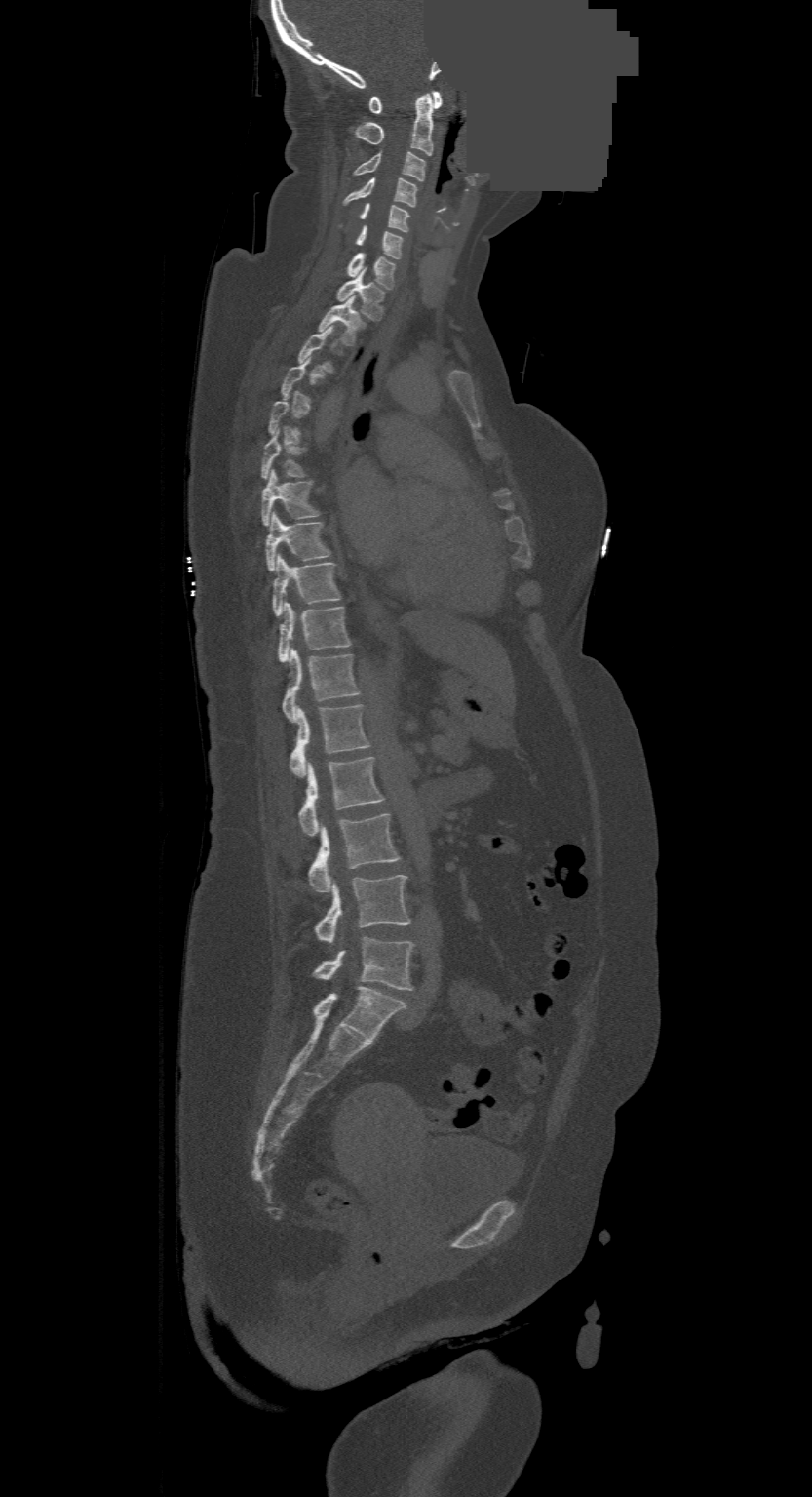 Computed tomography of the spine. sagittal view. Bone window (WL 400, WW 1800). 812x1497 px. some of the image was removed or blocked out with constant pixels
Box edges are left/top/right/bottom in pixels.
A vertebra is boxed only from the first to the last slice where its cross-section is at least a third of its largest; slices outside that range leave it without a box.
In this scan, the topmost labeled vertebra is C1 and the lowest is L4.
C1: left=368, top=91, right=442, bottom=113
C2: left=354, top=93, right=432, bottom=155
C3: left=354, top=150, right=424, bottom=181
C4: left=344, top=177, right=416, bottom=206
C5: left=359, top=204, right=408, bottom=232
C6: left=356, top=224, right=402, bottom=259
C7: left=346, top=253, right=396, bottom=289
T1: left=336, top=270, right=385, bottom=320
T2: left=319, top=296, right=364, bottom=345
T6: left=262, top=429, right=304, bottom=479
T7: left=262, top=470, right=320, bottom=525
T8: left=265, top=512, right=330, bottom=570
T9: left=273, top=555, right=340, bottom=615
T10: left=278, top=602, right=350, bottom=662
T11: left=281, top=649, right=359, bottom=721
T12: left=289, top=704, right=368, bottom=776
L1: left=298, top=756, right=385, bottom=835
L2: left=309, top=813, right=401, bottom=891
L3: left=314, top=875, right=410, bottom=942
L4: left=314, top=938, right=413, bottom=989